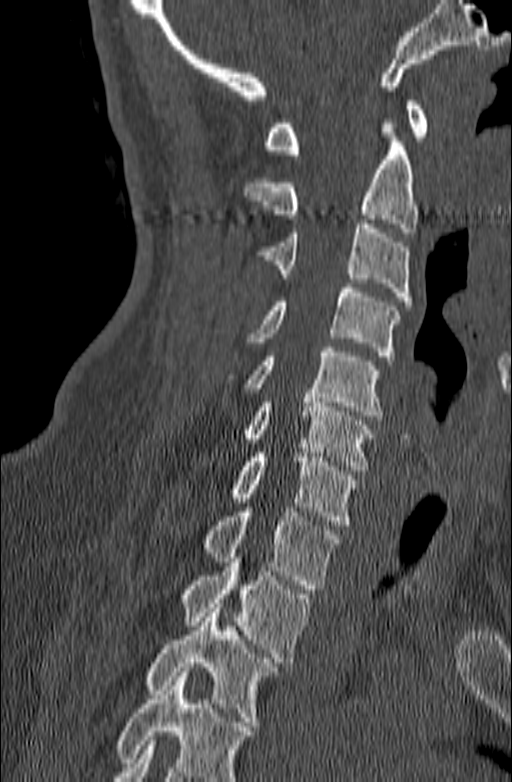
Spine CT; 140 mm wide; sagittal view; Bone window (WL 400, WW 1800); 512x782 px
In the table, x1 and y1 are a box's top-left corner and x2 and y2 its bottom-right corner, in pixels.
A vertebra cut off by the bottom edge of the scan is not labeled and has no box.
| vertebra | x1 | y1 | x2 | y2 |
|---|---|---|---|---|
| C1 | 264 | 101 | 428 | 154 |
| C2 | 241 | 119 | 419 | 232 |
| C3 | 257 | 219 | 411 | 305 |
| C4 | 246 | 283 | 399 | 360 |
| C5 | 225 | 347 | 382 | 420 |
| C6 | 243 | 393 | 373 | 470 |
| C7 | 228 | 453 | 359 | 525 |
| T1 | 199 | 507 | 340 | 589 |
| T2 | 181 | 558 | 311 | 662 |
| T3 | 146 | 603 | 279 | 726 |